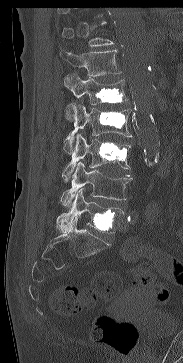
CT — image width 183 mm — sagittal view — W/L 1800/400 HU — 183x363 px

Boxes are (x1, y1, x2, y2) in pixels.
Not every vertebra on this slice has a box: a vertebra is boxed only from the first to the last slice where its cross-section is at least a third of its largest, and this slice is outside that range for at least one of them.
T12: (59, 49, 121, 77)
L1: (63, 73, 127, 120)
L2: (63, 103, 132, 154)
L3: (62, 134, 131, 181)
L4: (60, 162, 132, 208)
L5: (56, 189, 124, 233)